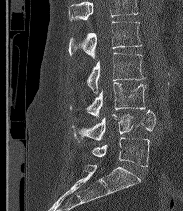
CT; sagittal view; image width 183 mm
Boxes: x1:y1:x2:y2 in pixels.
Vertebrae that run past the top of the scan are left unlabeled.
In these labels the spine has an L6, a sixth lumbar vertebra below L5.
L2: 68:21:142:58
L3: 87:53:145:93
L4: 70:82:146:117
L5: 72:110:155:142
L6: 91:137:150:166